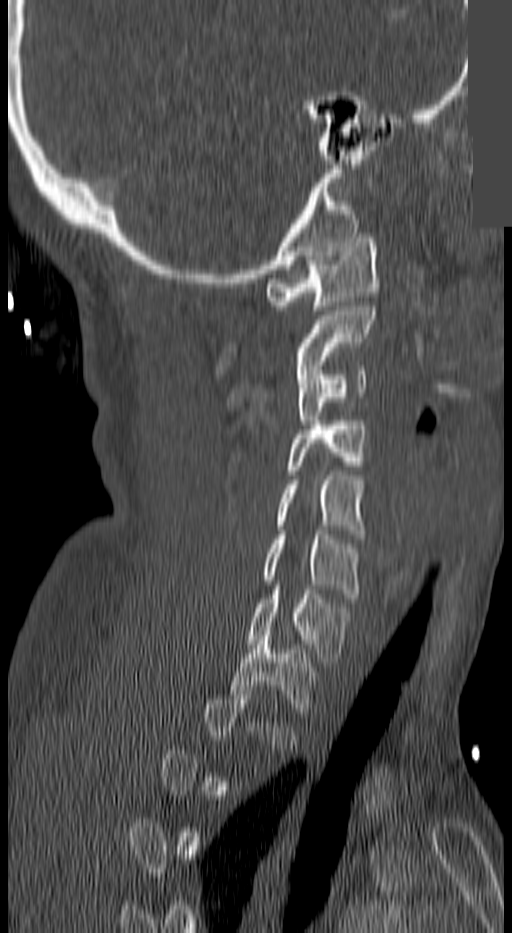
CT, spine. sagittal view. bone window. 512x933 px. an area of the scan was removed and filled with constant pixels

Bounding boxes as [x1, y1, x2, y2] in pixel coordinates.
A vertebra gets a box only on the slices from the first to the last where its cross-section is at least a third of its largest; on a slice outside that range it gets none.
C1: [265, 238, 381, 310]
C2: [294, 302, 377, 369]
C3: [296, 366, 366, 424]
C4: [287, 421, 366, 474]
C5: [276, 471, 366, 538]
C6: [261, 530, 359, 598]
C7: [246, 590, 351, 662]
T1: [232, 631, 319, 721]